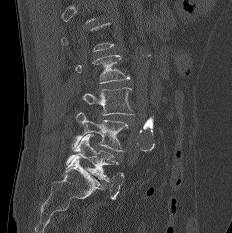 CT; sagittal view; bone-window reconstruction; 232x233 px
Boxes: x1:y1:x2:y2 in pixels. Not every vertebra on this slice has a box: a vertebra is boxed only from the first to the last slice where its cross-section is at least a third of its largest, and this slice is outside that range for at least one of them. 4 vertebrae labeled — L2 at 75:55:130:83; L3 at 82:87:133:115; L4 at 72:112:128:151; L5 at 66:134:118:181.